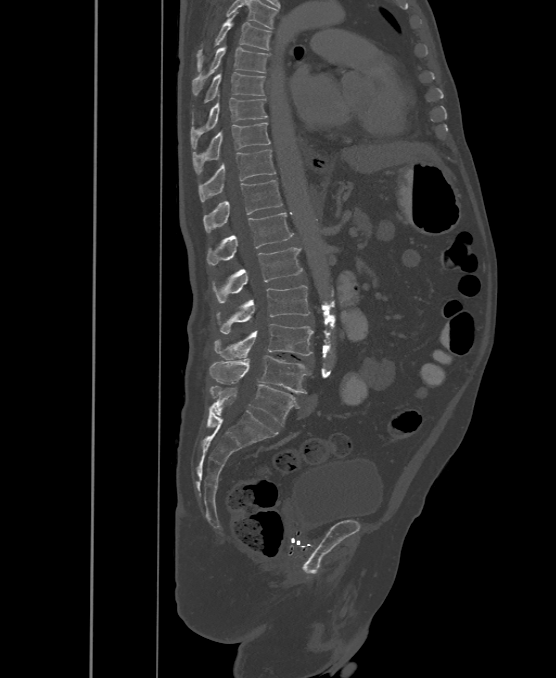
CT spine. sagittal view. Bone window (WL 400, WW 1800). 556x678 px
Boxes are (x1, y1, x2, y2) in pixels.
This scan's labels start at T6 at the top and end at L6 at the bottom.
These labels give the spine a sixth lumbar vertebra, L6, below L5.
T6: (196, 15, 271, 71)
T7: (192, 47, 269, 95)
T8: (192, 73, 265, 120)
T9: (190, 95, 267, 149)
T10: (192, 123, 270, 174)
T11: (199, 149, 276, 202)
T12: (203, 180, 282, 232)
L1: (206, 213, 293, 265)
L2: (214, 247, 303, 303)
L3: (217, 285, 310, 333)
L4: (214, 324, 314, 359)
L5: (208, 356, 310, 393)
L6: (211, 384, 296, 425)